CT spine; Sagittal slice 105/177; 177 mm across the image; W/L 1800/400 HU; 177x300 px
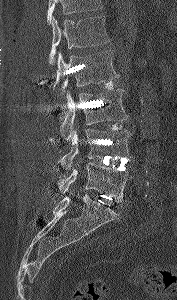

Boxes below are [x1, y1, x2, y2] in pixels.
Vertebrae that run past the top of the scan are left unlabeled.
{"vertebrae":{"L5":[59,162,134,202],"L4":[60,129,132,170],"L3":[60,89,128,142],"L2":[52,50,119,94],"L1":[49,16,110,64]}}